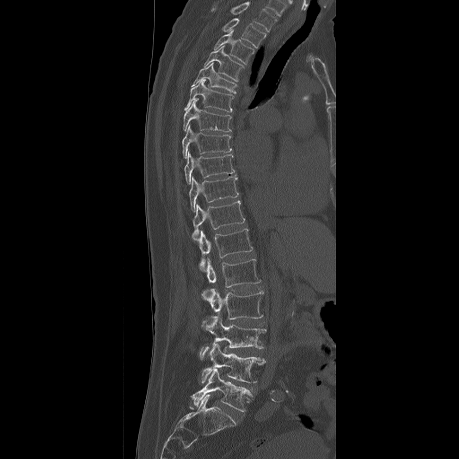
Computed tomography of the spine · sagittal view · 459 mm wide

This scan's labels start at T2 at the top and end at L5 at the bottom.
<vertebrae><v name="L5" x1="191" y1="368" x2="250" y2="412"/><v name="L4" x1="199" y1="343" x2="265" y2="384"/><v name="L3" x1="199" y1="314" x2="266" y2="359"/><v name="L2" x1="201" y1="288" x2="263" y2="325"/><v name="L1" x1="205" y1="258" x2="260" y2="287"/><v name="T12" x1="197" y1="228" x2="252" y2="271"/><v name="T11" x1="192" y1="201" x2="245" y2="240"/><v name="T10" x1="189" y1="176" x2="238" y2="211"/><v name="T9" x1="184" y1="152" x2="234" y2="184"/><v name="T8" x1="182" y1="125" x2="231" y2="158"/><v name="T7" x1="183" y1="98" x2="231" y2="131"/><v name="T6" x1="184" y1="78" x2="233" y2="111"/><v name="T5" x1="191" y1="63" x2="236" y2="93"/><v name="T4" x1="204" y1="46" x2="243" y2="81"/><v name="T3" x1="214" y1="30" x2="254" y2="64"/><v name="T2" x1="223" y1="19" x2="266" y2="46"/></vertebrae>